CT. Sagittal slice 63/116. W/L 1800/400 HU. 7 vertebrae labeled in this scan
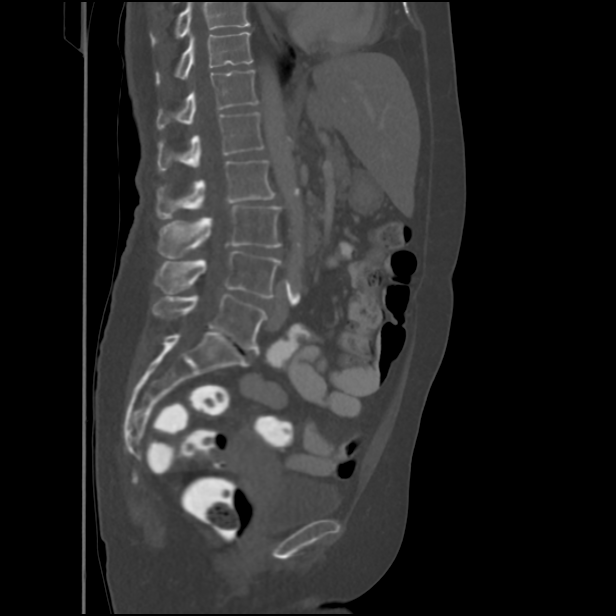 Each box is [x1, y1, x2, y2] in pixels: top-left corner, then bottom-right corner.
A vertebra cut off by the top edge of the scan is not labeled and has no box.
{"vertebrae":{"L5":[152,294,266,350],"L4":[154,250,280,297],"L3":[158,205,280,258],"L2":[155,159,275,218],"L1":[157,111,263,171],"T12":[157,70,259,129],"T11":[155,32,252,85]}}